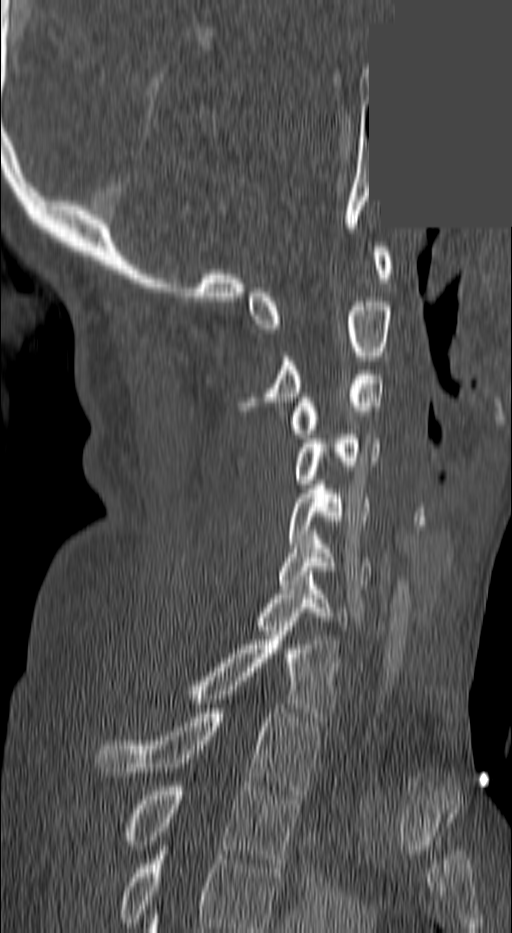 CT, spine; sagittal reformat; bone-window reconstruction; 512x933 px; a region of this slice is masked with a uniform fill
In the table, x1 and y1 are a box's top-left corner and x2 and y2 its bottom-right corner, in pixels.
In this scan, the topmost labeled vertebra is C1 and the lowest is T3.
| vertebra | x1 | y1 | x2 | y2 |
|---|---|---|---|---|
| T3 | 122 | 786 | 297 | 868 |
| T2 | 96 | 709 | 319 | 794 |
| T1 | 181 | 631 | 338 | 721 |
| C7 | 254 | 576 | 351 | 630 |
| C6 | 279 | 535 | 372 | 584 |
| C5 | 288 | 480 | 370 | 548 |
| C4 | 293 | 430 | 377 | 484 |
| C3 | 289 | 370 | 384 | 438 |
| C2 | 243 | 302 | 392 | 410 |
| C1 | 246 | 247 | 392 | 333 |